CT spine. the image is 153 mm wide. Sagittal slice 34/61
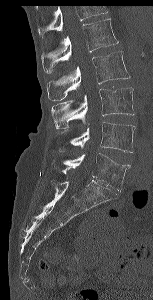 Each vertebra maps to its box as [x1, y1, x2, y2], the pixel coordinates of its top-left and bottom-right corners.
No box is given to a vertebra that the top edge of the scan cuts off.
{"vertebrae":{"L1":[42,18,118,74],"L2":[46,50,130,100],"L3":[51,87,134,128],"L4":[55,122,135,152],"L5":[52,153,130,191]}}